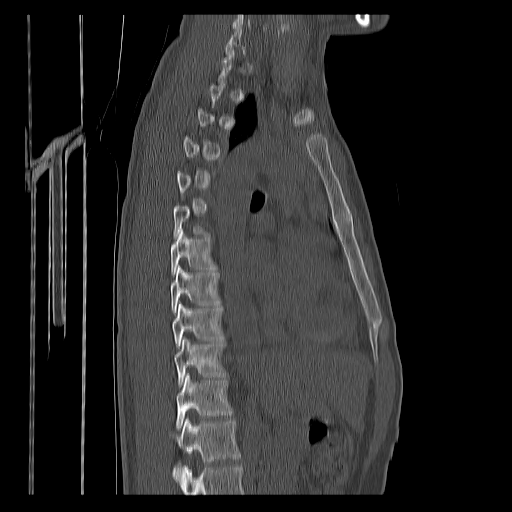

CT, spine. sagittal reformat. W/L 1800/400 HU. 512x512 px. Boxes are given in columns x1, y1, x2, y2, the pixel coordinates of their top-left and bottom-right corners.
Each vertebra is boxed only on the slices from the first to the last where its cross-section reaches a third of its largest, so a slice outside that range leaves it unboxed.
Where the bottom of the scan cuts through a vertebra, that vertebra gets no label or box.
| vertebra | x1 | y1 | x2 | y2 |
|---|---|---|---|---|
| T12 | 173 | 419 | 240 | 480 |
| T11 | 176 | 374 | 232 | 429 |
| T10 | 174 | 338 | 226 | 387 |
| T9 | 172 | 302 | 223 | 349 |
| T8 | 170 | 266 | 219 | 313 |
| T7 | 170 | 229 | 215 | 274 |